CT · Sagittal slice 274/512 · 512x700 px
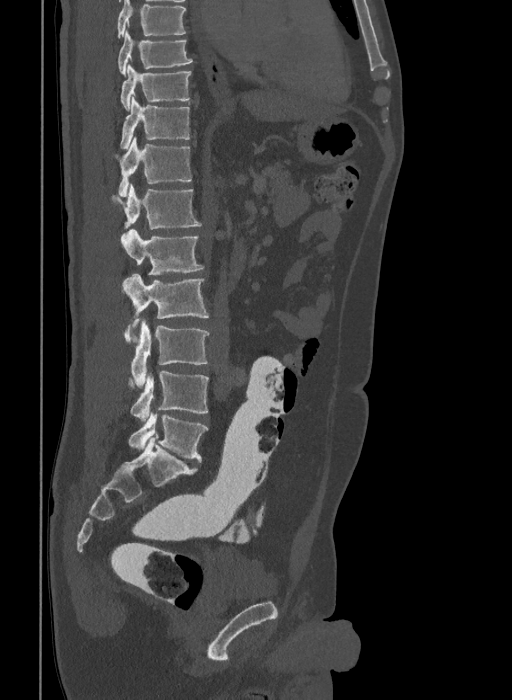

Box edges are left/top/right/bottom in pixels.
The highest labeled vertebra in this scan is T9; the lowest is L6.
The labels name a sixth lumbar vertebra for this spine: L6, after L5.
| vertebra | x1 | y1 | x2 | y2 |
|---|---|---|---|---|
| L6 | 128 | 412 | 208 | 462 |
| L5 | 128 | 371 | 208 | 420 |
| L4 | 124 | 319 | 209 | 388 |
| L3 | 122 | 274 | 209 | 342 |
| L2 | 121 | 229 | 203 | 274 |
| L1 | 111 | 184 | 200 | 229 |
| T12 | 116 | 136 | 192 | 196 |
| T11 | 120 | 97 | 190 | 149 |
| T10 | 120 | 64 | 192 | 111 |
| T9 | 118 | 30 | 192 | 76 |